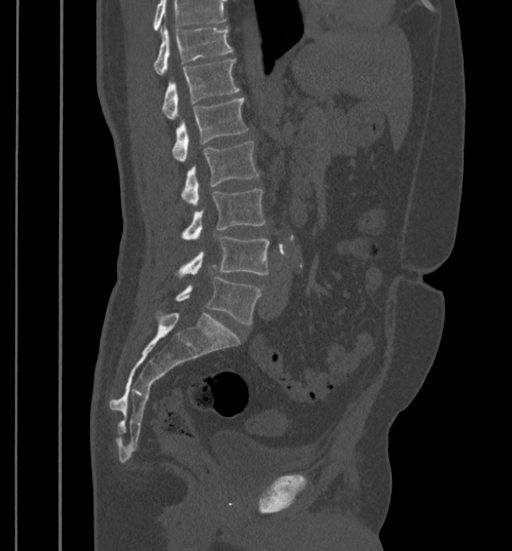

Spine CT · sagittal view · Bone window (WL 400, WW 1800) · 512x551 px
Bounding boxes as [x1, y1, x2, y2] in pixel coordinates.
A vertebra cut off by the top edge of the scan is not labeled and has no box.
Vertebra bounding boxes:
- T11: [154, 26, 232, 74]
- T12: [162, 59, 240, 119]
- L1: [172, 98, 248, 161]
- L2: [181, 141, 259, 205]
- L3: [181, 188, 266, 238]
- L4: [176, 236, 270, 277]
- L5: [174, 277, 261, 324]